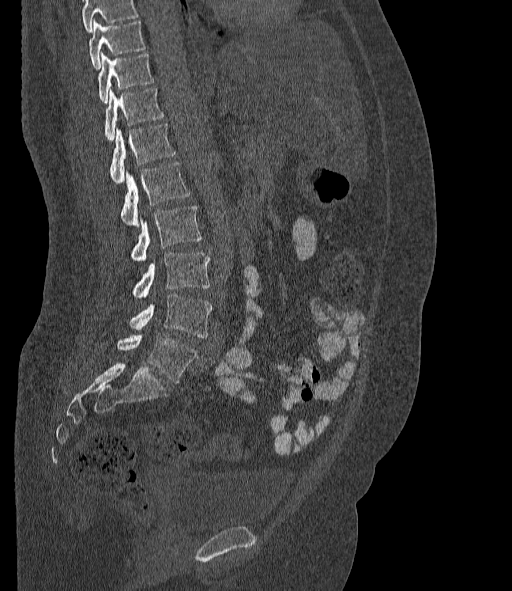
Spine computed tomography. sagittal view. Coordinates as <box>x1,y1,x2,y2</box>. No box is given to a vertebra that the top edge of the scan cuts off. These labels give the spine a sixth lumbar vertebra, L6, below L5. The labeled vertebrae in this slice are: L6 at <box>117,334,197,383</box>, L5 at <box>130,293,211,337</box>, L4 at <box>132,253,209,298</box>, L3 at <box>130,206,201,260</box>, L2 at <box>121,163,189,224</box>, L1 at <box>110,124,175,182</box>, T12 at <box>104,88,163,140</box>, T11 at <box>98,53,154,102</box>, T10 at <box>89,20,145,68</box>.